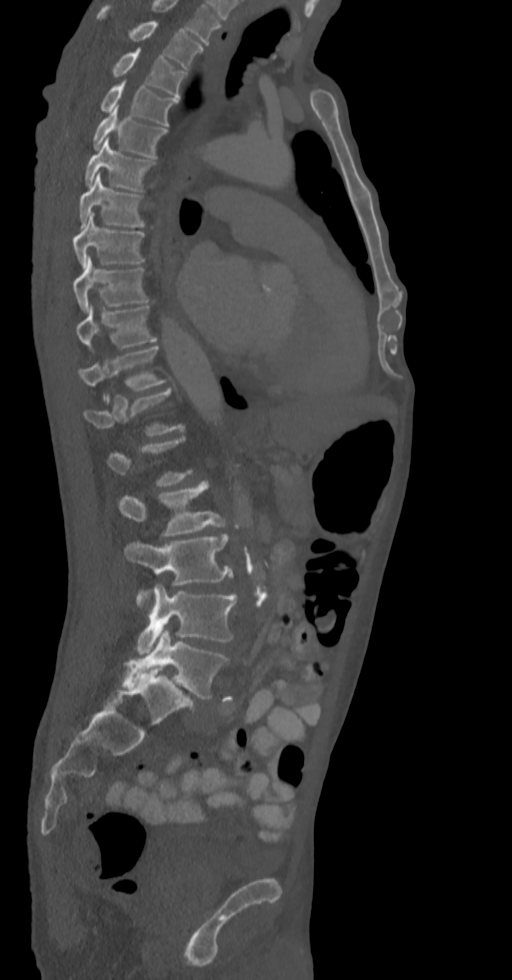

CT, spine · sagittal view · 512x980 px
Not every vertebra on this slice has a box: a vertebra is boxed only from the first to the last slice where its cross-section is at least a third of its largest, and this slice is outside that range for at least one of them.
<vertebrae><v name="T2" x1="97" y1="5" x2="203" y2="69"/><v name="T3" x1="111" y1="49" x2="185" y2="98"/><v name="T4" x1="100" y1="81" x2="177" y2="125"/><v name="T5" x1="93" y1="107" x2="166" y2="157"/><v name="T6" x1="85" y1="137" x2="156" y2="191"/><v name="T7" x1="79" y1="172" x2="145" y2="229"/><v name="T8" x1="73" y1="213" x2="145" y2="269"/><v name="T9" x1="73" y1="256" x2="148" y2="313"/><v name="T10" x1="76" y1="303" x2="157" y2="351"/><v name="T11" x1="79" y1="346" x2="166" y2="391"/><v name="T12" x1="84" y1="389" x2="185" y2="436"/><v name="L2" x1="117" y1="482" x2="227" y2="535"/><v name="L3" x1="123" y1="535" x2="232" y2="599"/><v name="L4" x1="137" y1="584" x2="236" y2="654"/><v name="L5" x1="121" y1="629" x2="229" y2="698"/></vertebrae>